CT, spine; sagittal reformat; 512x589 px; 10 vertebrae labeled in this scan
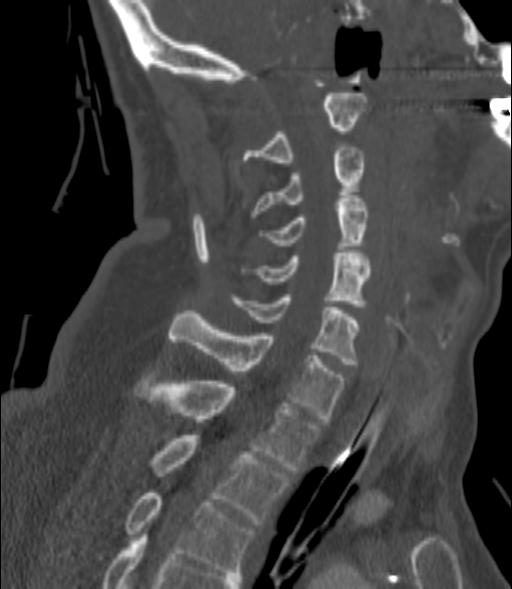

Boxes are (x1, y1, x2, y2) in pixels. Vertebrae labeled: C2 at (244, 93, 366, 162), C3 at (251, 144, 363, 217), C4 at (259, 198, 368, 249), C5 at (254, 250, 370, 306), C6 at (234, 294, 358, 364), C7 at (170, 310, 345, 421), T1 at (134, 378, 320, 473), T2 at (152, 435, 289, 524), T3 at (126, 493, 253, 575).